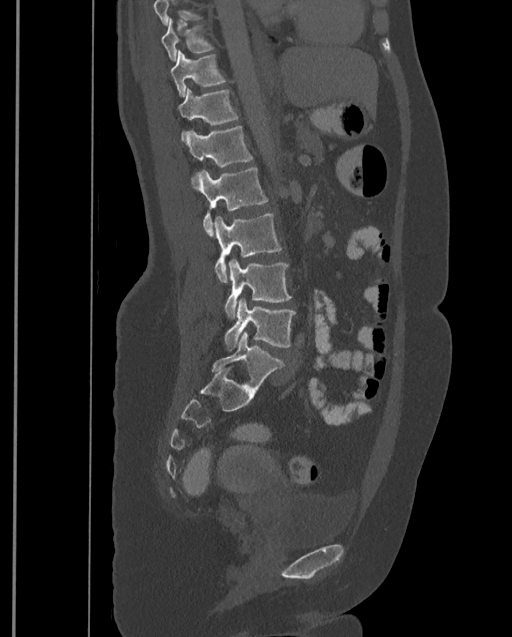

Spine computed tomography · the image spans 399 mm across · sagittal reformat. Boxes: x1:y1:x2:y2 in pixels. No box is given to a vertebra that the top edge of the scan cuts off. Labels in this scan begin with T9 at the top and end with L4 at the bottom. Vertebrae labeled: T9 at 162:17:213:61, T10 at 171:50:225:97, T11 at 178:88:238:141, T12 at 184:126:253:166, L1 at 192:166:267:236, L2 at 214:212:281:283, L3 at 224:259:291:319, L4 at 224:298:295:350.